CT, spine; sagittal plane, index 219; Bone window (WL 400, WW 1800); 13 vertebrae labeled in this scan
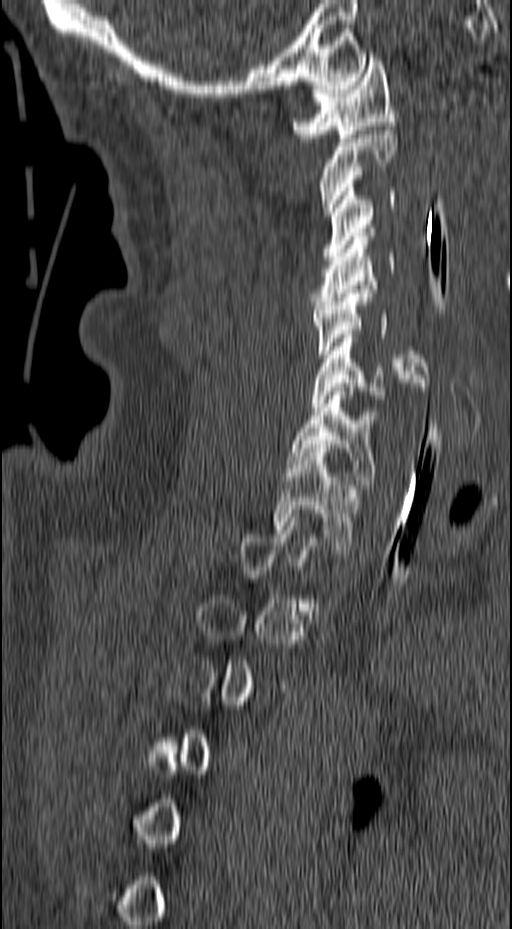

A vertebra is boxed only from the first to the last slice where its cross-section is at least a third of its largest; slices outside that range leave it without a box.
<vertebrae><v name="T1" x1="273" y1="448" x2="359" y2="549"/><v name="C7" x1="288" y1="387" x2="380" y2="484"/><v name="C6" x1="311" y1="334" x2="425" y2="423"/><v name="C5" x1="310" y1="289" x2="428" y2="386"/><v name="C4" x1="310" y1="232" x2="395" y2="309"/><v name="C3" x1="323" y1="188" x2="395" y2="260"/><v name="C2" x1="321" y1="126" x2="397" y2="215"/><v name="C1" x1="292" y1="57" x2="398" y2="142"/></vertebrae>